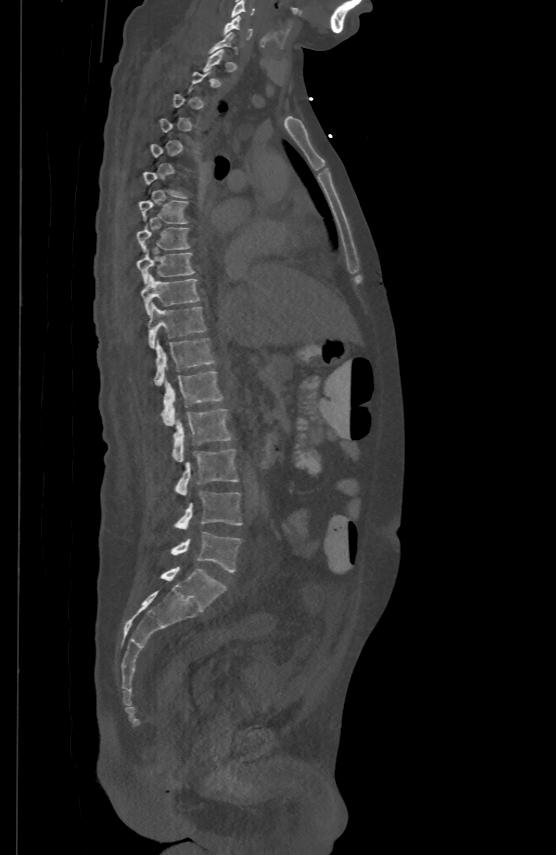
CT spine. image 500 mm wide. sagittal view. 556x855 px. Each box given as x1,y1,x2,y2.
Each vertebra is boxed only on the slices from the first to the last where its cross-section reaches a third of its largest, so a slice outside that range leaves it unboxed.
| vertebra | x1 | y1 | x2 | y2 |
|---|---|---|---|---|
| C5 | 231 | 0 | 255 | 16 |
| C6 | 224 | 14 | 251 | 38 |
| T7 | 139 | 199 | 188 | 222 |
| T8 | 137 | 223 | 190 | 250 |
| T9 | 137 | 247 | 194 | 282 |
| T10 | 141 | 273 | 200 | 313 |
| T11 | 148 | 303 | 206 | 346 |
| T12 | 154 | 337 | 215 | 384 |
| L1 | 162 | 370 | 223 | 424 |
| L2 | 173 | 407 | 231 | 461 |
| L3 | 175 | 448 | 238 | 494 |
| L4 | 174 | 491 | 242 | 529 |
| L5 | 170 | 532 | 241 | 572 |